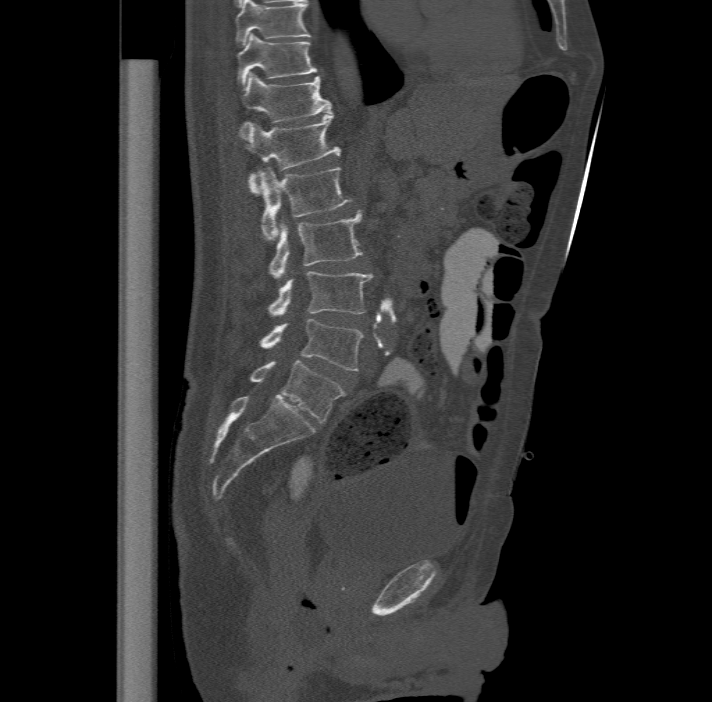
CT; sagittal reformat; 712x702 px; 477 mm wide

Boxes: x1:y1:x2:y2 in pixels. In this scan, the topmost labeled vertebra is T11 and the lowest is L6. These labels give the spine a sixth lumbar vertebra, L6, below L5. 8 vertebrae labeled — T11 at 238:33:317:84; T12 at 241:71:331:132; L1 at 239:113:341:193; L2 at 260:165:351:239; L3 at 270:210:362:278; L4 at 268:270:372:315; L5 at 260:318:363:370; L6 at 250:360:345:422.